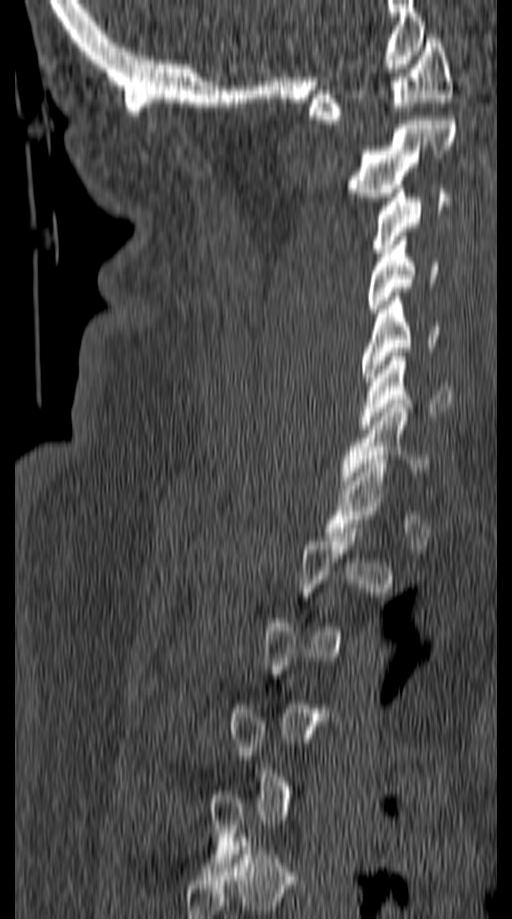
CT, spine — sagittal view — 512x919 px
Each box is [x1, y1, x2, y2] in pixels: top-left corner, then bottom-right corner.
Each vertebra is boxed only on the slices from the first to the last where its cross-section reaches a third of its largest, so a slice outside that range leaves it unboxed.
{"vertebrae":{"C1":[309,34,452,124],"C2":[345,116,457,201],"C3":[372,189,449,252],"C4":[368,241,437,313],"C5":[362,292,439,386],"C6":[362,352,451,429],"C7":[339,404,431,489]}}